CT · sagittal view · bone window · 191x345 px
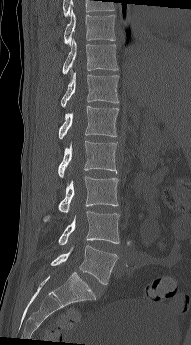 Boxes: x1 y1 x2 y2 (pixel coords, space-separated). The labeled vertebrae in this slice are: T10 at 64 6 115 46, T11 at 62 39 118 74, T12 at 60 69 119 107, L1 at 58 106 119 139, L2 at 58 141 118 178, L3 at 42 176 118 221, L4 at 58 211 119 245, L5 at 50 245 118 284.